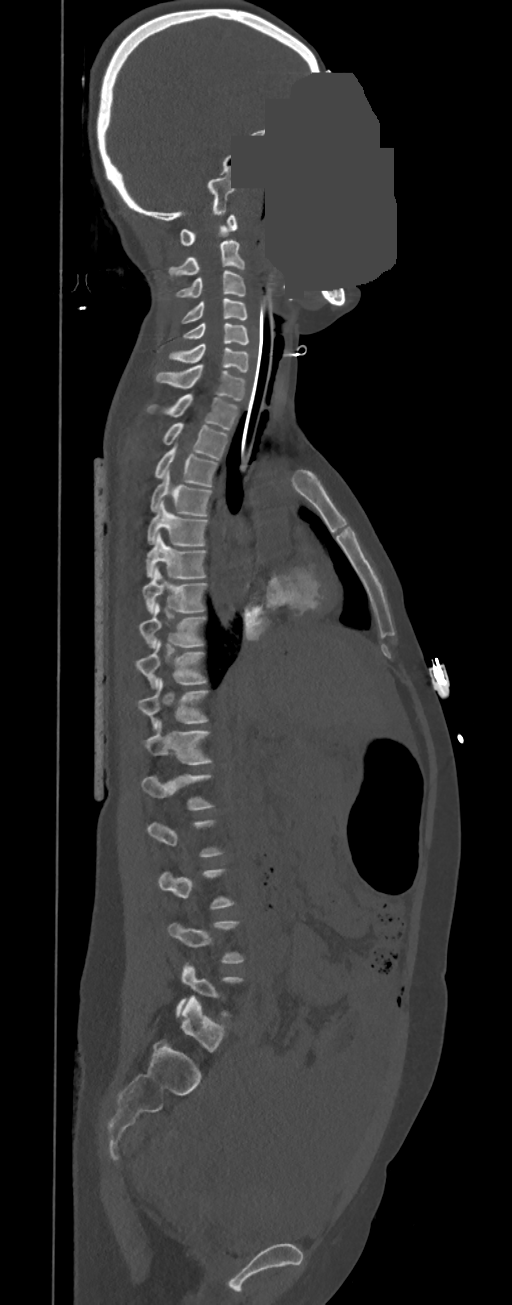 CT spine · image width 350 mm · sagittal view · Bone window (WL 400, WW 1800) · 512x1305 px · an area of the scan was removed and filled with constant pixels
Columns x1, y1, x2, y2 give each box's top-left and bottom-right pixels.
A vertebra is boxed only from the first to the last slice where its cross-section is at least a third of its largest; slices outside that range leave it without a box.
In these labels the spine has no T12: the thoracic vertebrae end at T11, and L1 comes next.
| vertebra | x1 | y1 | x2 | y2 |
|---|---|---|---|---|
| C1 | 180 | 215 | 237 | 245 |
| C2 | 168 | 240 | 245 | 275 |
| C3 | 175 | 270 | 245 | 298 |
| C4 | 181 | 299 | 247 | 323 |
| C5 | 183 | 323 | 249 | 344 |
| C6 | 168 | 344 | 249 | 372 |
| C7 | 155 | 365 | 246 | 401 |
| T1 | 146 | 394 | 237 | 430 |
| T2 | 162 | 423 | 228 | 460 |
| T3 | 153 | 445 | 218 | 486 |
| T4 | 150 | 469 | 212 | 516 |
| T5 | 146 | 500 | 208 | 545 |
| T6 | 145 | 532 | 206 | 578 |
| T7 | 143 | 567 | 208 | 614 |
| T8 | 139 | 603 | 206 | 648 |
| T9 | 136 | 641 | 208 | 688 |
| T10 | 139 | 678 | 209 | 730 |
| T11 | 145 | 721 | 212 | 764 |
| L1 | 141 | 774 | 214 | 810 |
| L4 | 168 | 920 | 245 | 963 |